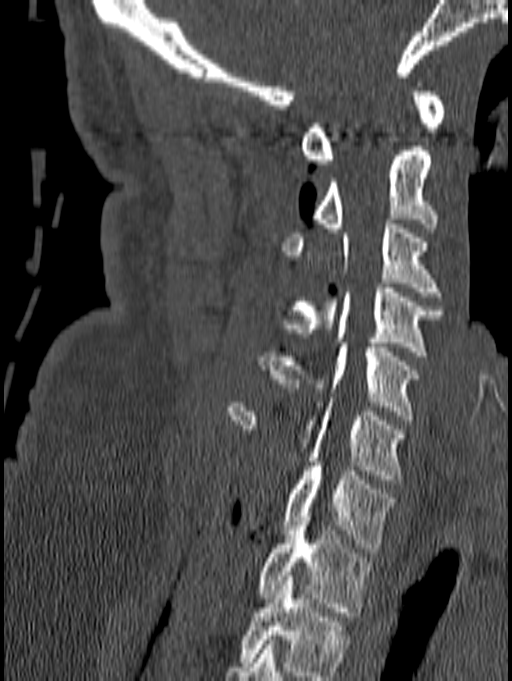 Spine computed tomography; sagittal view; 512x681 px

Box edges are left/top/right/bottom in pixels.
Labels in this scan begin with C1 at the top and end with T1 at the bottom.
Vertebra bounding boxes:
- C1: left=300, top=78, right=445, bottom=164
- C2: left=312, top=146, right=437, bottom=232
- C3: left=282, top=219, right=442, bottom=296
- C4: left=281, top=283, right=443, bottom=356
- C5: left=258, top=343, right=418, bottom=420
- C6: left=225, top=398, right=406, bottom=484
- C7: left=283, top=462, right=395, bottom=552
- T1: left=257, top=512, right=373, bottom=616